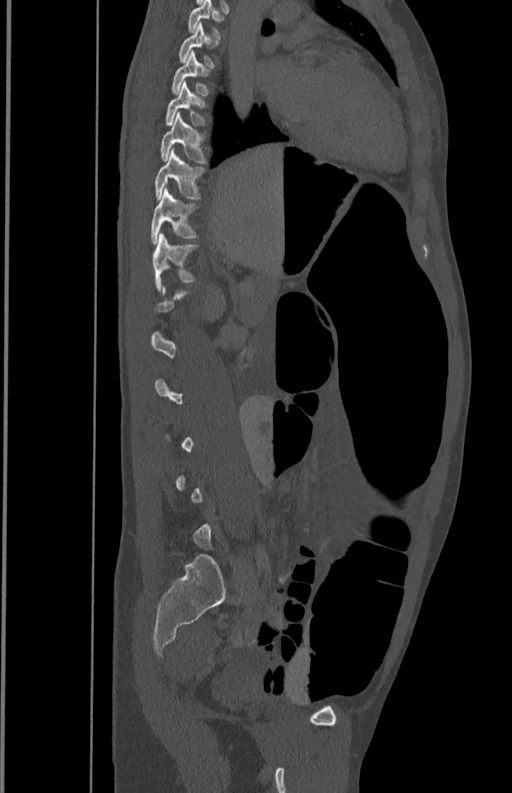 CT; sagittal view; Bone window (WL 400, WW 1800)
Bounding boxes as [x1, y1, x2, y2] in pixel coordinates.
Each vertebra is boxed only on the slices from the first to the last where its cross-section reaches a third of its largest, so a slice outside that range leaves it unboxed.
Vertebra bounding boxes:
- T12: [152, 232, 198, 289]
- T11: [150, 188, 196, 243]
- T10: [155, 149, 205, 199]
- T9: [161, 112, 206, 162]
- T8: [165, 82, 205, 124]
- T7: [171, 51, 209, 95]
- T6: [178, 24, 214, 66]